CT, spine · 183 mm image width · sagittal reformat · scan covers 7 annotated vertebrae
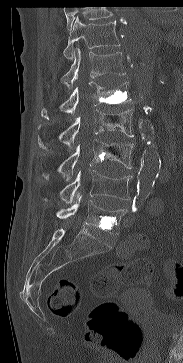

Boxes below are [x1, y1, x2, y2] in pixels.
Vertebrae that run past the top of the scan are left unlabeled.
{"vertebrae":{"L5":[56,195,126,233],"L4":[60,170,132,203],"L3":[42,139,133,180],"L2":[38,109,133,149],"L1":[41,80,131,119],"T12":[61,47,125,88],"T11":[63,16,120,59]}}